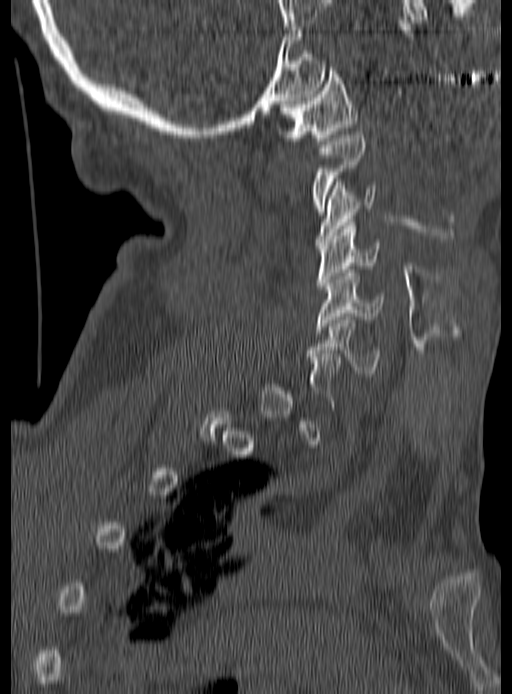 CT, spine · sagittal view · bone-window reconstruction · image 190 mm wide

Bounding boxes as [x1, y1, x2, y2] in pixel coordinates.
A vertebra is boxed only from the first to the last slice where its cross-section is at least a third of its largest; slices outside that range leave it without a box.
Vertebra bounding boxes:
- C6: [305, 317, 381, 376]
- C5: [316, 269, 385, 332]
- C4: [316, 222, 380, 289]
- C3: [315, 182, 377, 245]
- C2: [311, 131, 366, 215]
- C1: [279, 64, 357, 144]